Spine CT · Sagittal slice 264/512 · Bone window (WL 400, WW 1800) · 617x640 px
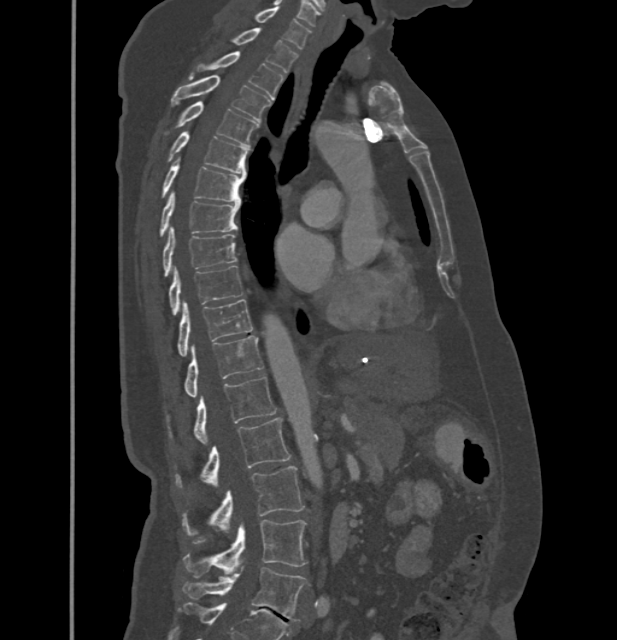

These labels give this spine no T12: after T11 the next vertebra is L1.
<vertebrae><v name="L5" x1="183" y1="566" x2="306" y2="621"/><v name="L4" x1="184" y1="520" x2="306" y2="575"/><v name="L3" x1="183" y1="466" x2="303" y2="535"/><v name="L2" x1="176" y1="417" x2="291" y2="488"/><v name="L1" x1="194" y1="376" x2="276" y2="444"/><v name="T11" x1="184" y1="336" x2="263" y2="396"/><v name="T10" x1="177" y1="299" x2="252" y2="356"/><v name="T9" x1="169" y1="266" x2="241" y2="315"/><v name="T8" x1="163" y1="226" x2="236" y2="275"/><v name="T7" x1="160" y1="192" x2="240" y2="235"/><v name="T6" x1="162" y1="157" x2="245" y2="202"/><v name="T5" x1="169" y1="132" x2="247" y2="174"/><v name="T4" x1="178" y1="102" x2="257" y2="146"/><v name="T3" x1="171" y1="75" x2="270" y2="122"/><v name="T2" x1="196" y1="52" x2="283" y2="99"/><v name="T1" x1="231" y1="27" x2="298" y2="72"/><v name="C7" x1="254" y1="7" x2="310" y2="49"/></vertebrae>